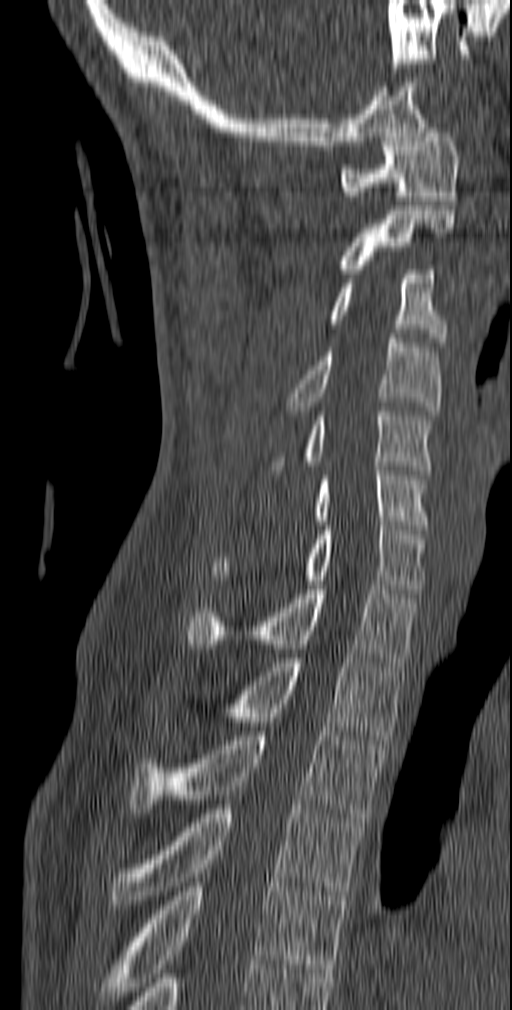
CT; image 140 mm wide; sagittal view; bone-window reconstruction
Boxes below are [x1, y1, x2, y2] in pixels.
{"vertebrae":{"C1":[340,128,459,205],"C2":[338,210,455,273],"C3":[329,270,447,346],"C4":[285,334,441,415],"C5":[271,407,432,474],"C6":[312,466,428,529],"C7":[210,521,425,593],"T1":[186,585,419,666],"T2":[219,658,406,740],"T3":[129,731,387,822],"T4":[111,805,362,904],"T5":[98,882,348,1005]}}